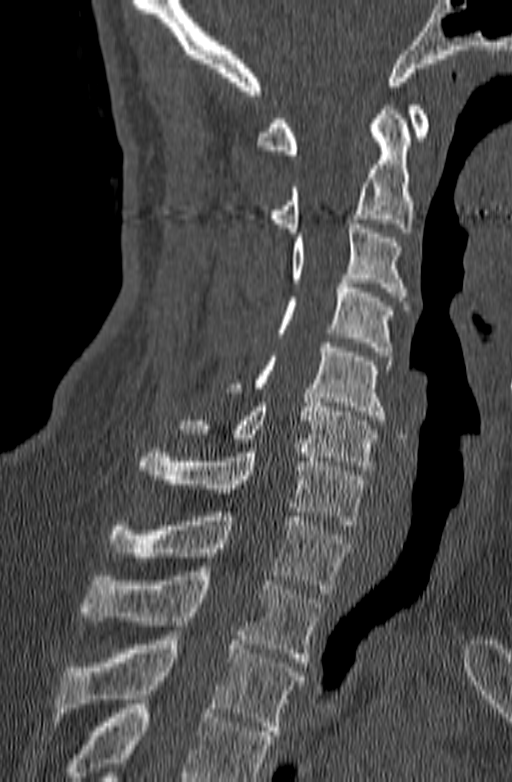 Computed tomography of the spine — sagittal view
Bounding boxes as [x1, y1, x2, y2] in pixel coordinates.
Where the bottom of the scan cuts through a vertebra, that vertebra gets no label or box.
T3: [53, 631, 304, 735]
T2: [81, 571, 320, 662]
T1: [107, 507, 351, 593]
C7: [137, 448, 366, 525]
C6: [178, 398, 377, 470]
C5: [227, 343, 391, 420]
C4: [276, 279, 392, 356]
C3: [290, 219, 408, 305]
C2: [268, 105, 414, 232]
C1: [257, 105, 428, 154]